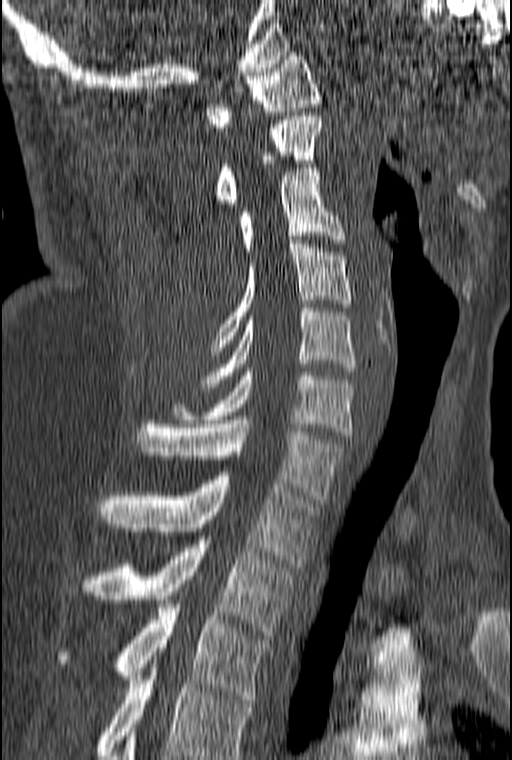

Spine CT. 160 mm wide. sagittal reformat
The highest labeled vertebra in this scan is C1; the lowest is T3.
<vertebrae><v name="C1" x1="205" y1="52" x2="322" y2="131"/><v name="C2" x1="216" y1="112" x2="332" y2="207"/><v name="C3" x1="238" y1="168" x2="346" y2="255"/><v name="C4" x1="209" y1="240" x2="352" y2="355"/><v name="C5" x1="201" y1="308" x2="355" y2="387"/><v name="C6" x1="172" y1="368" x2="352" y2="435"/><v name="C7" x1="136" y1="420" x2="346" y2="503"/><v name="T1" x1="97" y1="476" x2="316" y2="567"/><v name="T2" x1="81" y1="536" x2="291" y2="635"/><v name="T3" x1="57" y1="604" x2="269" y2="703"/></vertebrae>